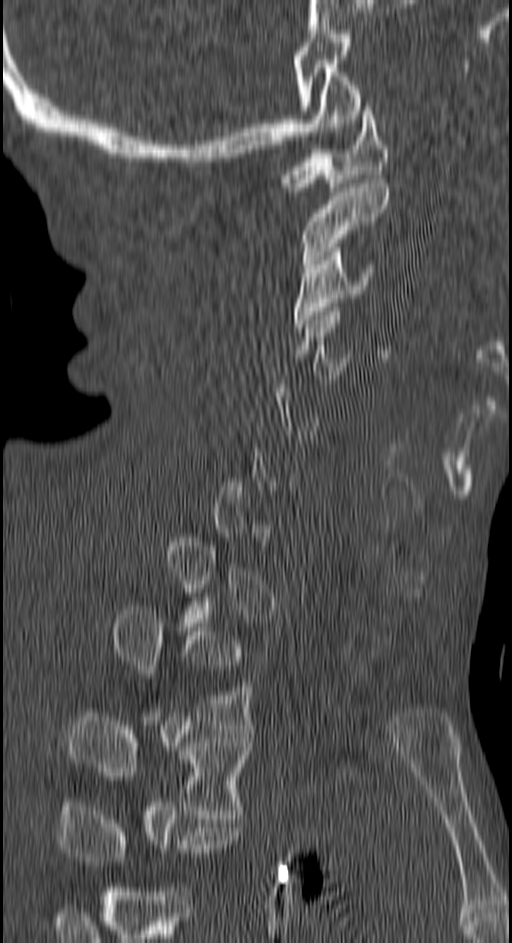 CT, spine — image width 150 mm — sagittal view — 512x943 px
Box values are [left, top, right, bottom] in pixels.
Each vertebra is boxed only on the slices from the first to the last where its cross-section reaches a third of its largest, so a slice outside that range leaves it unboxed.
Labels in this scan begin with C1 at the top and end with T4 at the bottom.
{"vertebrae":{"T4":[59,806,243,865],"T3":[69,713,253,818],"T2":[114,610,256,729],"C4":[291,311,355,383],"C3":[291,247,376,328],"C2":[302,179,389,268],"C1":[278,102,389,191]}}